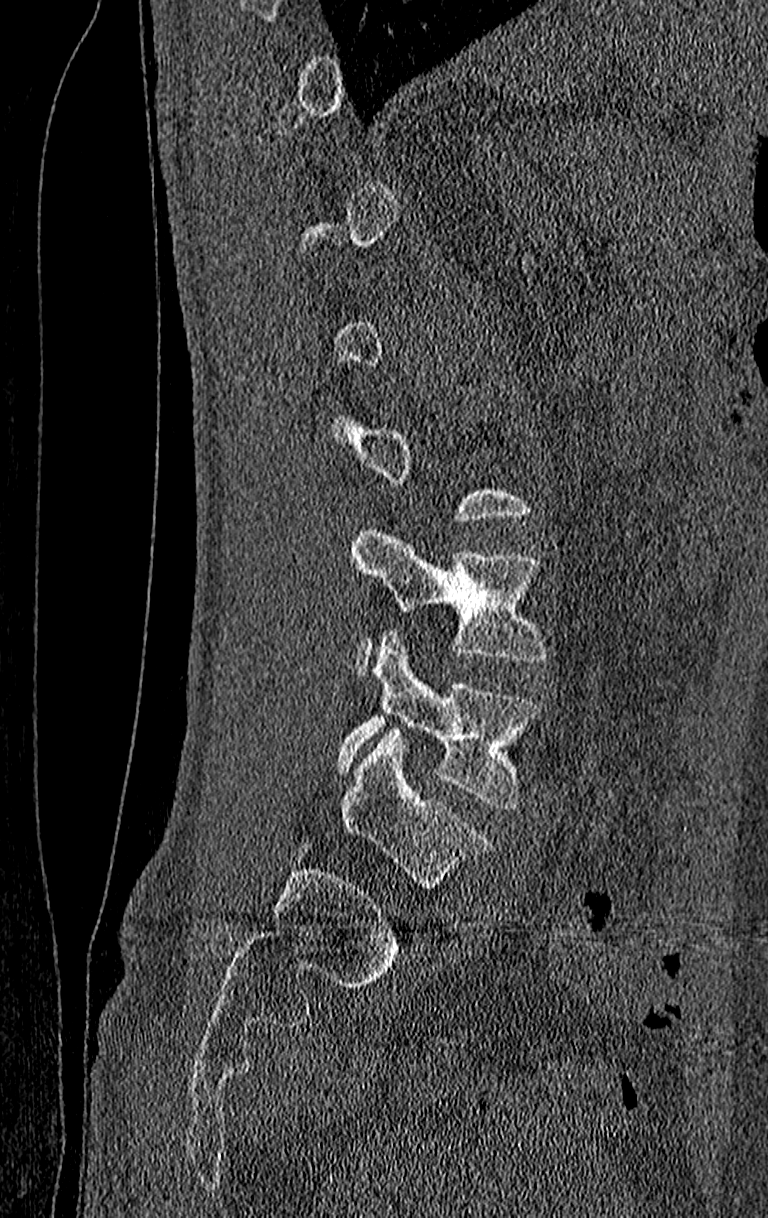
Spine computed tomography; sagittal view; 768x1218 px
Each box given as x1,y1,x2,y2.
Not every vertebra on this slice has a box: a vertebra is boxed only from the first to the last slice where its cross-section is at least a third of its largest, and this slice is outside that range for at least one of them.
Labels in this scan begin with T11 at the top and end with L4 at the bottom.
Vertebra bounding boxes:
- L3: x1=350, y1=523, x2=546, y2=672
- L4: x1=335, y1=630, x2=543, y2=809